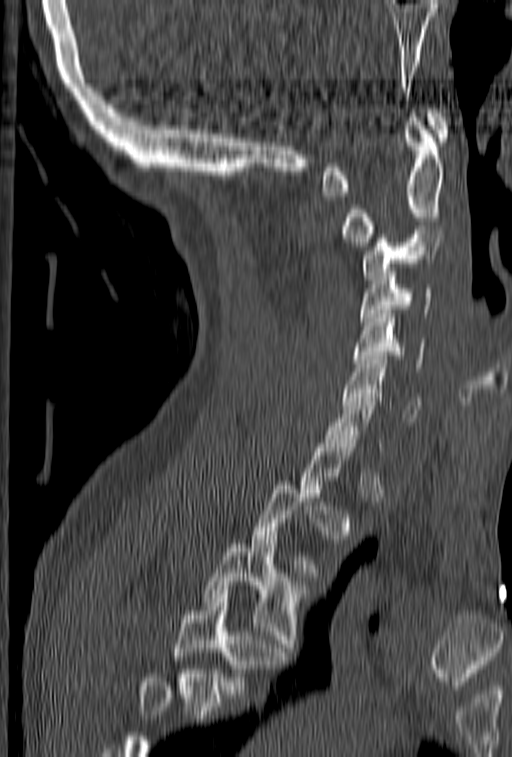

Computed tomography of the spine — sagittal view — bone window — 153 mm across the image. Coordinates as <box>x1,y1,x2,y2</box>.
A vertebra is boxed only from the first to the last slice where its cross-section is at least a third of its largest; slices outside that range leave it without a box.
No box is given to a vertebra that the bottom edge of the scan cuts off.
C1: <box>321,109,450,196</box>
C2: <box>341,117,445,246</box>
C3: <box>362,230,445,279</box>
C4: <box>359,264,432,325</box>
C5: <box>353,310,425,371</box>
C6: <box>343,356,421,421</box>
C7: <box>322,389,383,451</box>
T3: <box>203,540,309,656</box>
T4: <box>175,590,288,698</box>